Computed tomography of the spine. Sagittal slice 239/512
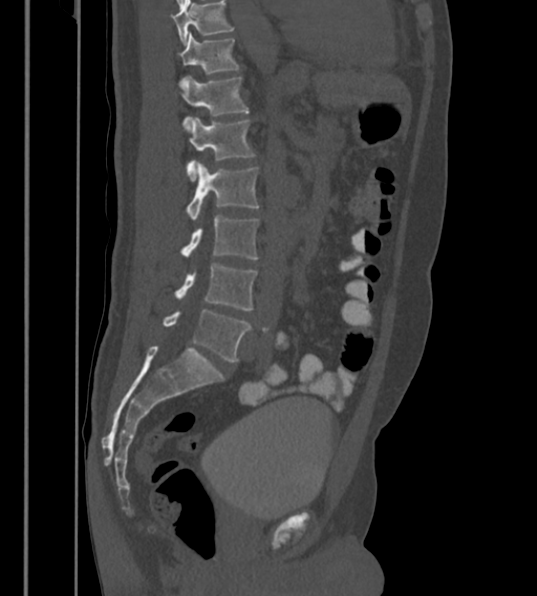 Box edges are left/top/right/bottom in pixels.
In this scan, the topmost labeled vertebra is T12 and the lowest is L6.
These labels give the spine a sixth lumbar vertebra, L6, below L5.
L6: left=163, top=309, right=250, bottom=361
L5: left=176, top=264, right=256, bottom=310
L4: left=182, top=215, right=259, bottom=259
L3: left=188, top=161, right=259, bottom=221
L2: left=186, top=117, right=254, bottom=181
L1: left=176, top=76, right=248, bottom=125
T12: left=177, top=31, right=238, bottom=74